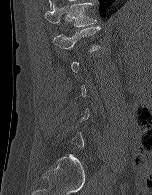
Spine computed tomography · sagittal reformat

Box edges are left/top/right/bottom in pixels. Not every vertebra on this slice has a box: a vertebra is boxed only from the first to the last slice where its cross-section is at least a third of its largest, and this slice is outside that range for at least one of them. The labeled vertebrae in this slice are: T12 at left=45, top=2, right=96, bottom=27, L1 at left=53, top=26, right=100, bottom=51.